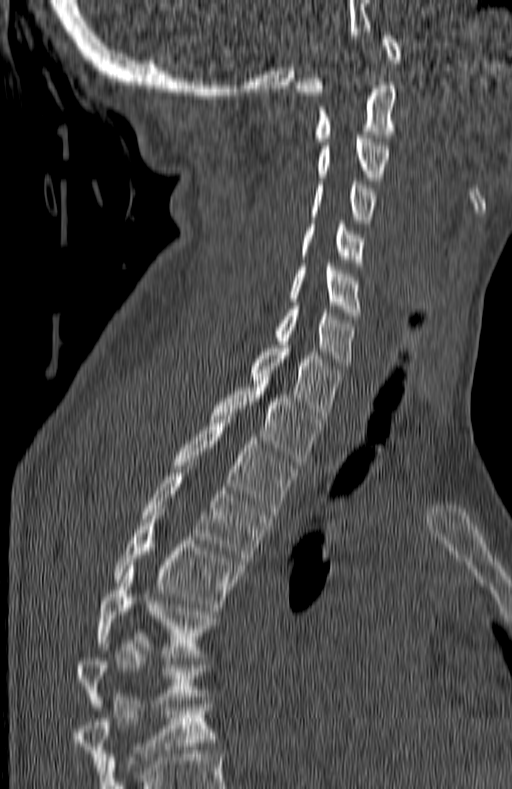 Spine CT. sagittal view. bone window. 512x789 px
Boxes: x1:y1:x2:y2 in pixels.
The highest labeled vertebra in this scan is C1; the lowest is T7.
Vertebra bounding boxes:
- C1: 296:32:401:95
- C2: 314:85:395:141
- C3: 317:135:390:180
- C4: 311:181:375:227
- C5: 302:224:364:266
- C6: 291:260:361:315
- C7: 274:306:353:369
- T1: 251:341:341:419
- T2: 211:380:321:465
- T3: 174:416:296:515
- T4: 140:469:273:564
- T5: 115:512:242:611
- T6: 96:569:216:657
- T7: 75:640:206:710